Spine CT · sagittal view · W/L 1800/400 HU
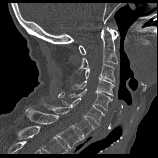

Each box is [x1, y1, x2, y2] in pixels: top-left corner, then bottom-right corner.
{"vertebrae":{"T1":[25,107,83,148],"C7":[43,103,94,137],"C6":[58,92,104,126],"C5":[69,89,112,111],"C4":[72,79,114,95],"C3":[85,63,115,83],"C2":[77,27,118,72],"C1":[79,29,119,54]}}